Computed tomography of the spine; sagittal reformat; Bone window (WL 400, WW 1800); scan covers 12 annotated vertebrae
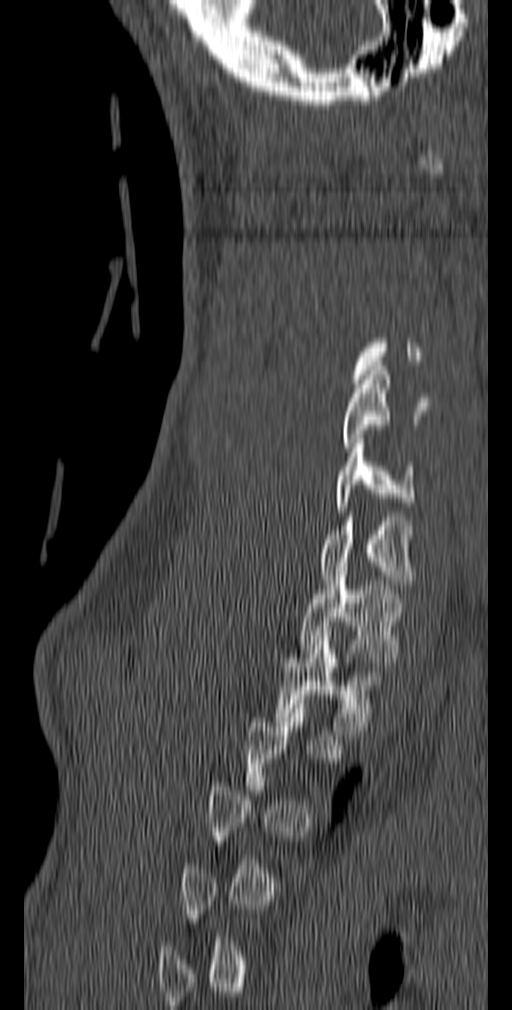

Each box given as x1,y1,x2,y2.
Not every vertebra on this slice has a box: a vertebra is boxed only from the first to the last slice where its cross-section is at least a third of its largest, and this slice is outside that range for at least one of them.
| vertebra | x1 | y1 | x2 | y2 |
|---|---|---|---|---|
| C5 | 341 | 366 | 429 | 452 |
| C6 | 334 | 439 | 416 | 516 |
| C7 | 320 | 507 | 413 | 589 |
| T1 | 299 | 567 | 403 | 666 |
| T2 | 274 | 631 | 384 | 735 |